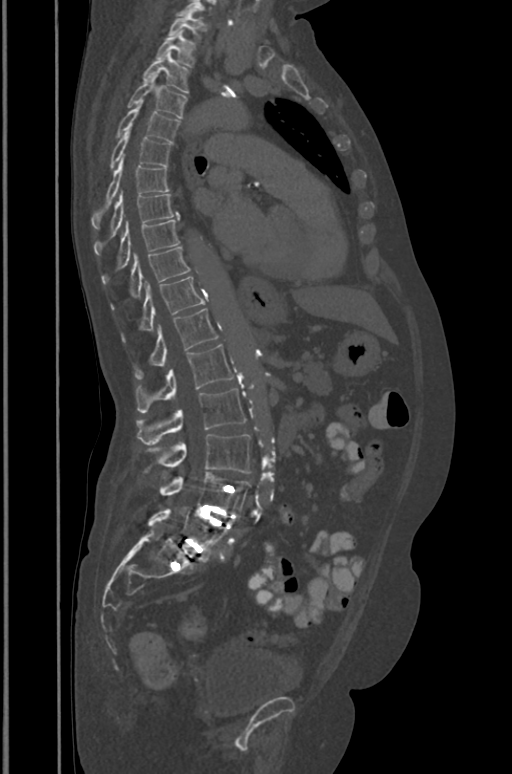

Spine computed tomography. sagittal view. bone window

In the table, x1 and y1 are a box's top-left corner and x2 and y2 its bottom-right corner, in pixels.
| vertebra | x1 | y1 | x2 | y2 |
|---|---|---|---|---|
| T1 | 168 | 12 | 202 | 40 |
| T2 | 156 | 30 | 195 | 66 |
| T3 | 143 | 51 | 189 | 92 |
| T4 | 127 | 75 | 186 | 117 |
| T5 | 115 | 101 | 180 | 142 |
| T6 | 110 | 128 | 171 | 169 |
| T7 | 92 | 158 | 169 | 229 |
| T8 | 94 | 192 | 178 | 254 |
| T9 | 102 | 219 | 180 | 283 |
| T10 | 110 | 247 | 190 | 309 |
| T11 | 122 | 276 | 205 | 342 |
| T12 | 134 | 308 | 218 | 379 |
| L1 | 136 | 344 | 233 | 412 |
| L2 | 136 | 389 | 245 | 444 |
| L3 | 144 | 434 | 250 | 473 |
| L4 | 160 | 472 | 250 | 513 |
| L5 | 148 | 510 | 227 | 553 |